Spine CT; the image spans 421 mm across; sagittal view
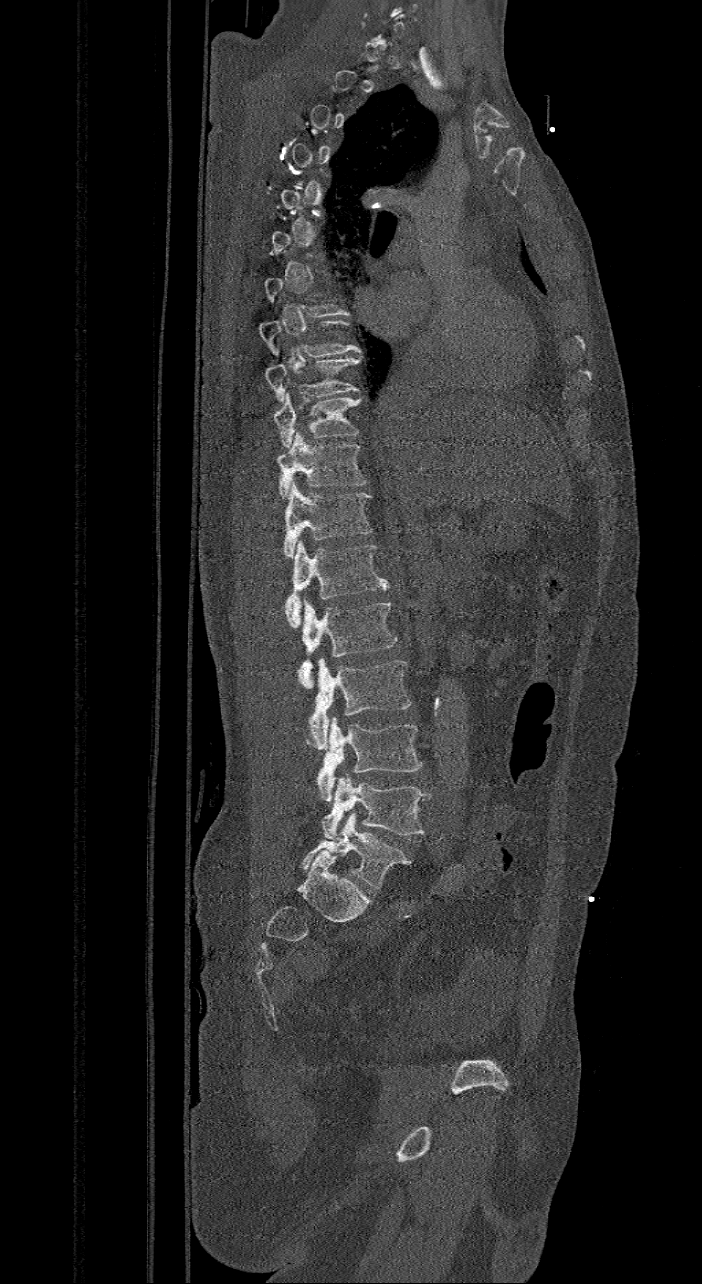

Each box given as x1,y1,x2,y2.
A vertebra gets a box only on the slices from the first to the last where its cross-section is at least a third of its largest; on a slice outside that range it gets none.
In these labels the spine has an L6, a sixth lumbar vertebra below L5.
| vertebra | x1 | y1 | x2 | y2 |
|---|---|---|---|---|
| T8 | 258 | 320 | 361 | 356 |
| T9 | 264 | 357 | 361 | 402 |
| T10 | 273 | 392 | 362 | 447 |
| T11 | 277 | 430 | 368 | 498 |
| T12 | 284 | 482 | 372 | 558 |
| L1 | 285 | 540 | 388 | 628 |
| L2 | 296 | 598 | 398 | 688 |
| L3 | 304 | 658 | 410 | 749 |
| L4 | 317 | 716 | 422 | 801 |
| L5 | 322 | 774 | 431 | 838 |
| L6 | 300 | 813 | 412 | 888 |